Spine CT; sagittal reformat
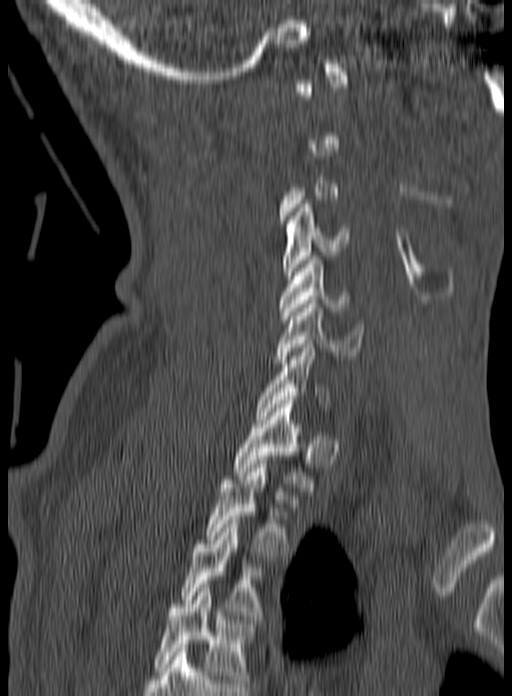

Boxes: x1:y1:x2:y2 in pixels.
A vertebra is boxed only from the first to the last slice where its cross-section is at least a third of its largest; slices outside that range leave it without a box.
In this scan, the topmost labeled vertebra is C1 and the lowest is T3.
Vertebra bounding boxes:
- C4: 282:204:349:279
- C5: 279:256:349:319
- C6: 273:300:365:363
- C7: 255:340:330:419
- T1: 232:400:314:491
- T2: 206:464:291:559
- T3: 180:516:263:619